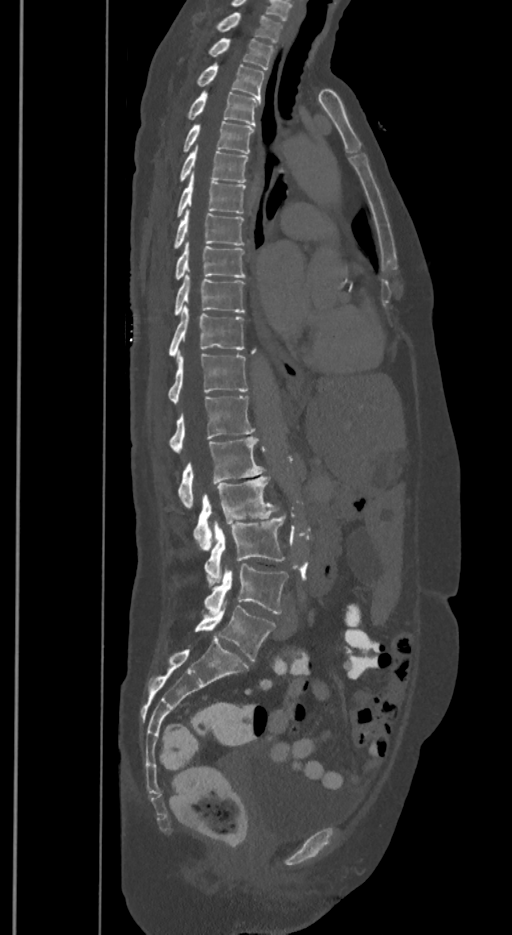

CT; sagittal view; bone window
Each vertebra maps to its box as [x1, y1, x2, y2], the pixel coordinates of its top-left and bottom-right corners.
These labels give the spine a sixth lumbar vertebra, L6, below L5.
{"vertebrae":{"T1":[216,12,281,42],"T2":[209,38,274,69],"T3":[197,63,264,98],"T4":[187,91,259,125],"T5":[183,121,253,153],"T6":[180,145,247,182],"T7":[177,171,245,218],"T8":[174,209,245,248],"T9":[175,241,245,278],"T10":[174,274,245,315],"T11":[168,305,245,356],"T12":[168,353,247,403],"L1":[169,396,253,453],"L2":[178,436,264,507],"L3":[193,475,278,551],"L4":[205,516,284,588],"L5":[205,563,287,615],"L6":[194,602,275,661]}}